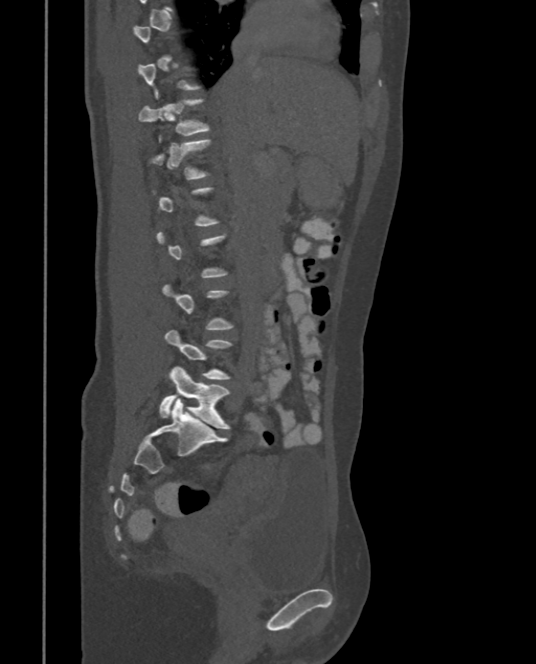 CT, spine; sagittal view; 375 mm image width
Each box given as x1,y1,x2,y2.
Not every vertebra on this slice has a box: a vertebra is boxed only from the first to the last slice where its cross-section is at least a third of its largest, and this slice is outside that range for at least one of them.
| vertebra | x1 | y1 | x2 | y2 |
|---|---|---|---|---|
| T11 | 138 | 100 | 209 | 143 |
| L5 | 160 | 367 | 229 | 429 |